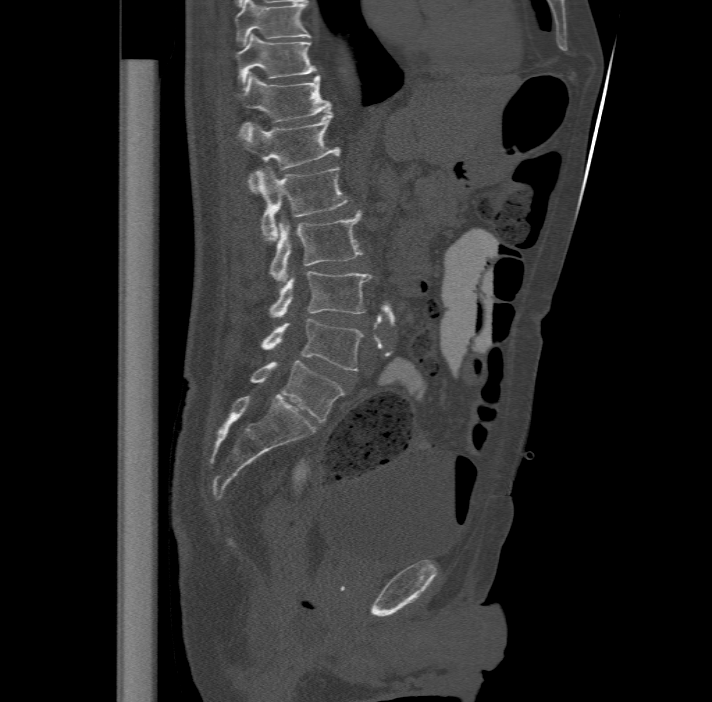
CT. sagittal view. the image spans 477 mm across. W/L 1800/400 HU. 712x702 px

Each box given as x1,y1,x2,y2.
Labels in this scan begin with T11 at the top and end with L6 at the bottom.
The labels name a sixth lumbar vertebra for this spine: L6, after L5.
| vertebra | x1 | y1 | x2 | y2 |
|---|---|---|---|---|
| T11 | 234 | 33 | 317 | 82 |
| T12 | 236 | 71 | 330 | 126 |
| L1 | 236 | 112 | 340 | 182 |
| L2 | 256 | 165 | 349 | 241 |
| L3 | 270 | 210 | 362 | 282 |
| L4 | 270 | 270 | 372 | 317 |
| L5 | 261 | 318 | 363 | 370 |
| L6 | 250 | 360 | 344 | 422 |